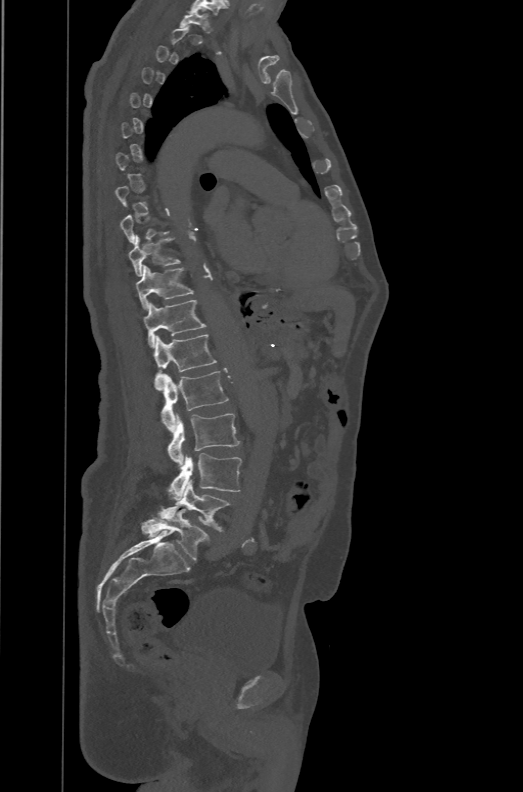

Spine computed tomography — sagittal view

Boxes: x1:y1:x2:y2 in pixels.
Each vertebra is boxed only on the slices from the first to the last where its cross-section reaches a third of its largest, so a slice outside that range leaves it unboxed.
In these labels the spine has an L6, a sixth lumbar vertebra below L5.
Vertebra bounding boxes:
- L6: 141:509:209:561
- L5: 158:480:232:531
- L4: 168:453:241:500
- L3: 167:413:240:465
- L2: 160:371:228:432
- L1: 154:334:216:390
- T12: 143:300:205:348
- T11: 135:265:193:310
- T10: 129:234:181:277
- T1: 179:9:210:30